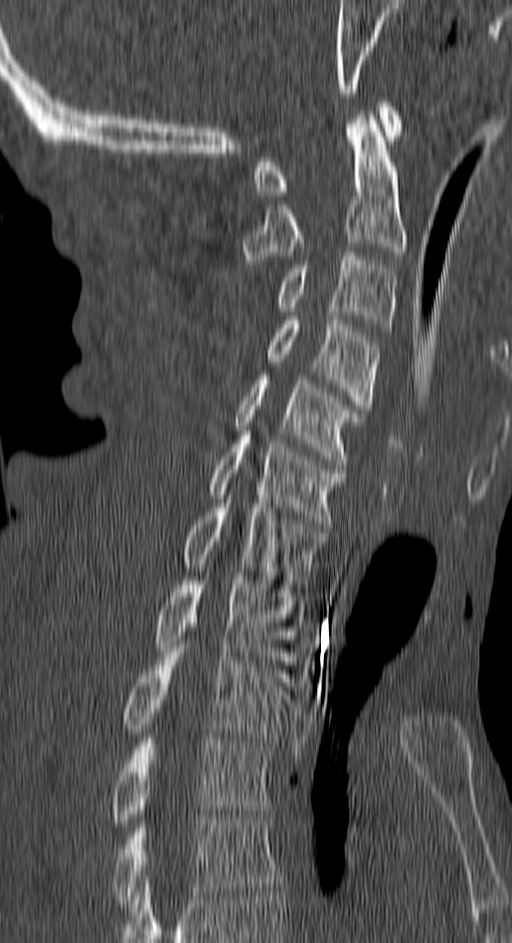
Computed tomography of the spine. the image is 150 mm wide. sagittal view. bone-window reconstruction
Columns x1, y1, x2, y2 give each box's top-left and bottom-right pixels.
| vertebra | x1 | y1 | x2 | y2 |
|---|---|---|---|---|
| C1 | 254 | 98 | 400 | 195 |
| C2 | 243 | 115 | 406 | 264 |
| C3 | 278 | 252 | 396 | 332 |
| C4 | 267 | 316 | 379 | 413 |
| C5 | 233 | 375 | 363 | 464 |
| C6 | 209 | 435 | 345 | 524 |
| C7 | 182 | 499 | 324 | 588 |
| T1 | 155 | 576 | 303 | 669 |
| T2 | 121 | 644 | 288 | 741 |
| T3 | 110 | 738 | 270 | 827 |
| T4 | 110 | 815 | 280 | 908 |